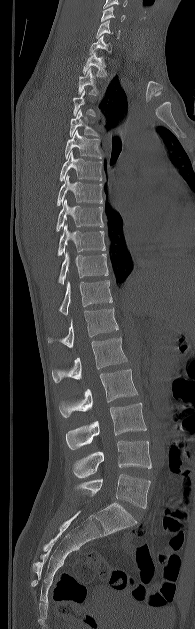 CT, spine; 195 mm across the image; sagittal view; Bone window (WL 400, WW 1800). Box edges are left/top/right/bottom in pixels.
A vertebra gets a box only on the slices from the first to the last where its cross-section is at least a third of its largest; on a slice outside that range it gets none.
Vertebra bounding boxes:
- C5: left=101, top=6, right=125, bottom=21
- C6: left=96, top=20, right=120, bottom=38
- C7: left=89, top=35, right=111, bottom=54
- T1: left=83, top=51, right=106, bottom=76
- T2: left=78, top=68, right=98, bottom=95
- T4: left=69, top=110, right=98, bottom=136
- T5: left=64, top=130, right=101, bottom=158
- T6: left=59, top=151, right=102, bottom=181
- T7: left=57, top=175, right=102, bottom=205
- T8: left=56, top=199, right=103, bottom=231
- T9: left=57, top=224, right=105, bottom=255
- T10: left=58, top=249, right=108, bottom=284
- T11: left=59, top=280, right=112, bottom=315
- T12: left=48, top=308, right=118, bottom=347
- L1: left=52, top=337, right=127, bottom=382
- L2: left=59, top=369, right=137, bottom=417
- L3: left=66, top=403, right=146, bottom=449
- L4: left=73, top=440, right=151, bottom=478
- L5: left=76, top=474, right=150, bottom=508